Spine CT — sagittal plane, index 291 — 512x694 px — 12 vertebrae labeled in this scan
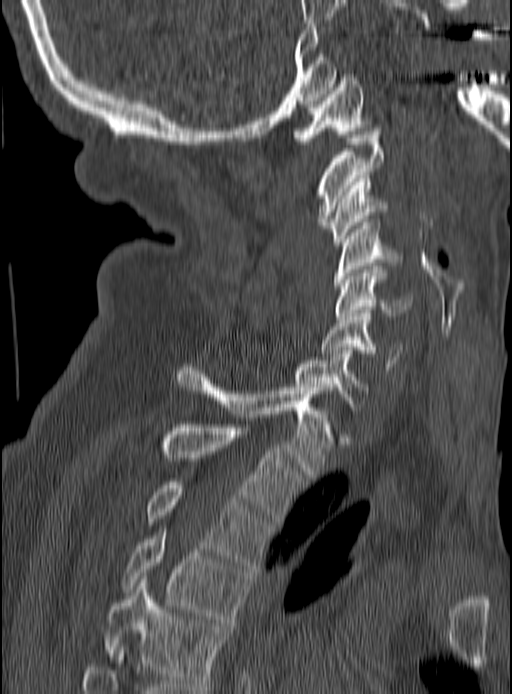
Boxes: x1 y1 x2 y2 (pixel coords, space-separated).
Vertebra bounding boxes:
- C1: 291 74 372 144
- C2: 313 128 383 228
- C3: 324 175 389 245
- C4: 335 222 401 289
- C5: 335 266 413 322
- C6: 321 310 402 370
- C7: 295 350 369 410
- T1: 176 364 334 477
- T2: 163 424 304 524
- T3: 146 482 272 568
- T4: 122 525 250 622
- T5: 106 579 229 686